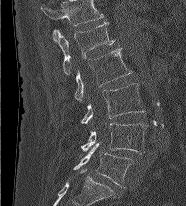 CT; sagittal view
In this scan, the topmost labeled vertebra is L1 and the lowest is L5.
<vertebrae><v name="L1" x1="53" y1="21" x2="115" y2="74"/><v name="L2" x1="74" y1="48" x2="132" y2="101"/><v name="L3" x1="81" y1="83" x2="144" y2="124"/><v name="L4" x1="81" y1="123" x2="149" y2="154"/><v name="L5" x1="73" y1="143" x2="133" y2="187"/></vertebrae>